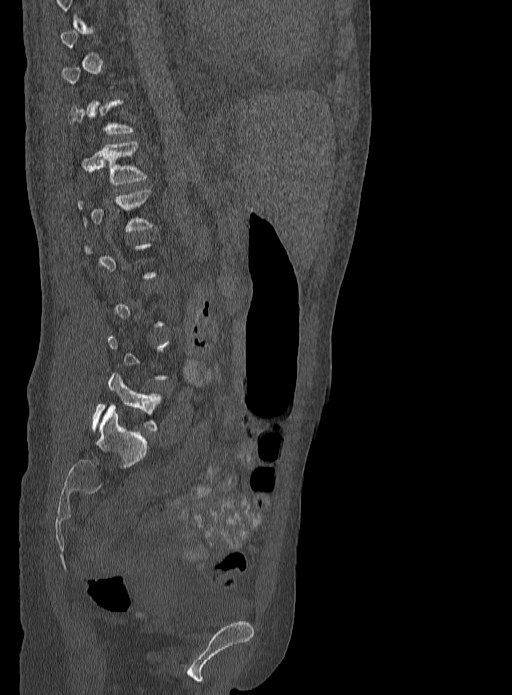 CT spine; sagittal view

Each row gives a vertebra's box as x1, y1, x2, y2 in pixels: top-left corner, then bottom-right corner.
A vertebra gets a box only on the slices from the first to the last where its cross-section is at least a third of its largest; on a slice outside that range it gets none.
| vertebra | x1 | y1 | x2 | y2 |
|---|---|---|---|---|
| L5 | 92 | 372 | 162 | 431 |
| L1 | 78 | 189 | 152 | 231 |
| T12 | 81 | 141 | 146 | 185 |